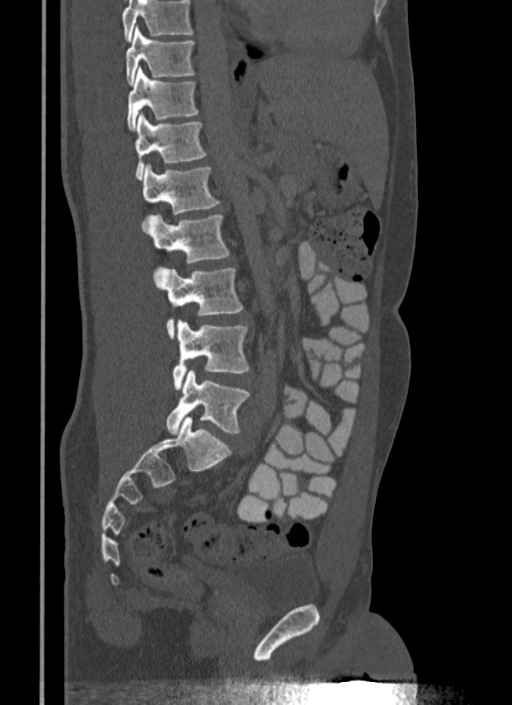
Computed tomography of the spine — sagittal view
Where the top of the scan cuts through a vertebra, that vertebra gets no label or box.
<vertebrae><v name="L5" x1="165" y1="370" x2="250" y2="434"/><v name="L4" x1="173" y1="321" x2="249" y2="389"/><v name="L3" x1="161" y1="268" x2="243" y2="338"/><v name="L2" x1="149" y1="214" x2="229" y2="263"/><v name="L1" x1="143" y1="164" x2="220" y2="229"/><v name="T12" x1="135" y1="113" x2="207" y2="178"/><v name="T11" x1="126" y1="68" x2="199" y2="130"/><v name="T10" x1="126" y1="27" x2="195" y2="85"/></vertebrae>